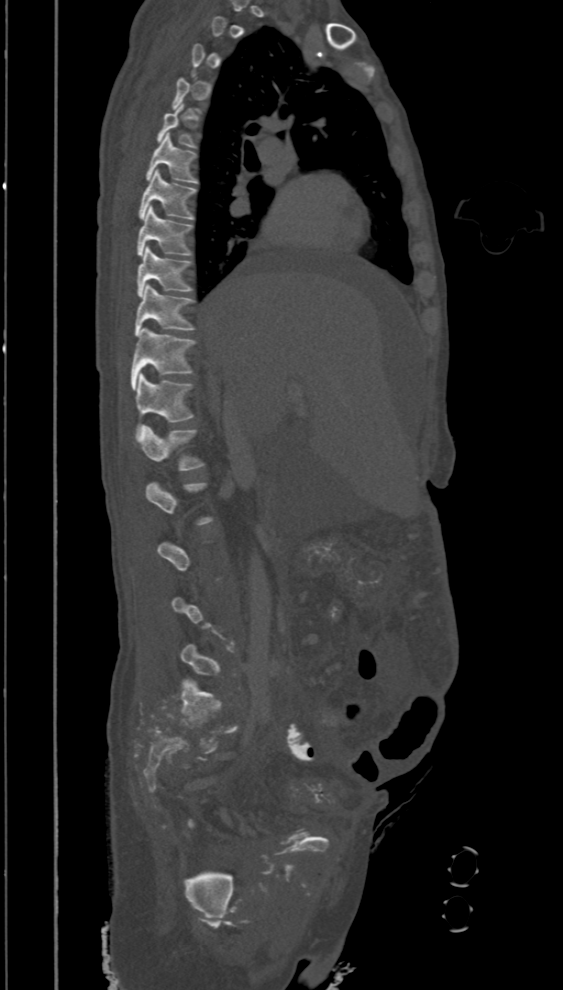
Spine computed tomography — sagittal view — bone window
Boxes below are [x1, y1, x2, y2] in pixels.
Each vertebra is boxed only on the slices from the first to the last where its cross-section reaches a third of its largest, so a slice outside that range leaves it unboxed.
{"vertebrae":{"T5":[157,103,197,148],"T6":[145,133,199,184],"T7":[139,170,197,219],"T8":[137,206,194,256],"T9":[137,246,194,296],"T10":[134,285,196,336],"T11":[131,328,196,389],"T12":[135,372,195,441],"L1":[139,425,205,471]}}